CT spine — sagittal reformat — bone-window reconstruction — 512x1305 px — some of the image was removed or blocked out with constant pixels
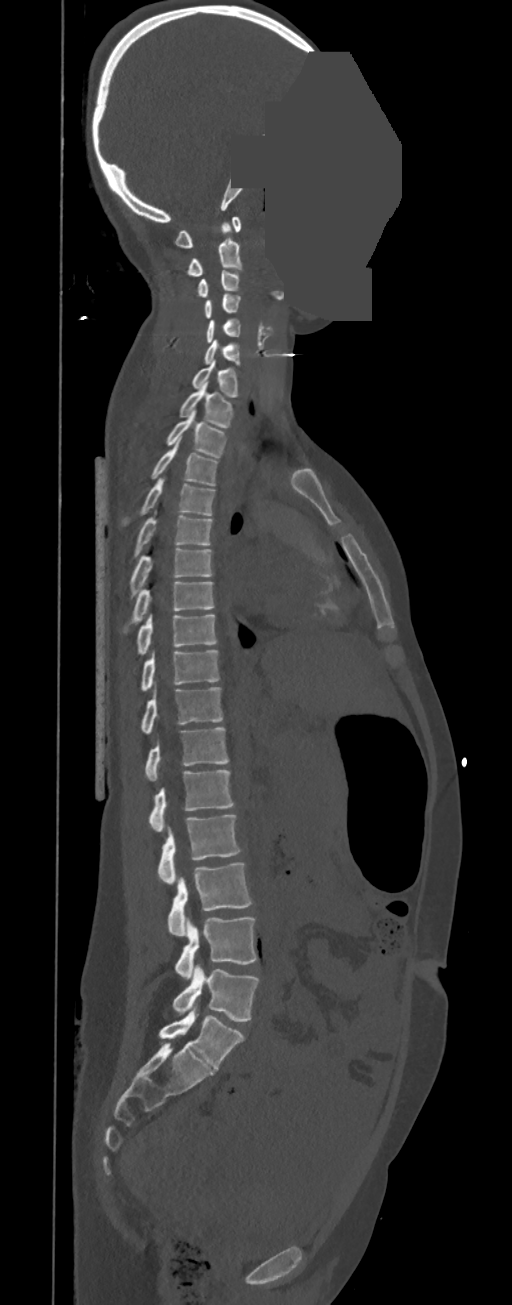 In these labels the thoracic vertebrae end at T11, so L1 follows T11.
<vertebrae><v name="C1" x1="174" y1="216" x2="241" y2="248"/><v name="C2" x1="187" y1="223" x2="240" y2="275"/><v name="C3" x1="197" y1="270" x2="239" y2="297"/><v name="C4" x1="205" y1="294" x2="240" y2="318"/><v name="C5" x1="206" y1="319" x2="241" y2="343"/><v name="C6" x1="205" y1="340" x2="240" y2="365"/><v name="C7" x1="191" y1="359" x2="237" y2="397"/><v name="T1" x1="180" y1="380" x2="233" y2="427"/><v name="T2" x1="167" y1="411" x2="227" y2="457"/><v name="T3" x1="151" y1="436" x2="217" y2="486"/><v name="T4" x1="122" y1="478" x2="214" y2="526"/><v name="T5" x1="133" y1="511" x2="212" y2="556"/><v name="T6" x1="128" y1="548" x2="212" y2="598"/><v name="T7" x1="121" y1="581" x2="214" y2="634"/><v name="T8" x1="136" y1="614" x2="217" y2="655"/><v name="T9" x1="140" y1="649" x2="220" y2="690"/><v name="T10" x1="140" y1="685" x2="223" y2="734"/><v name="T11" x1="145" y1="727" x2="228" y2="780"/><v name="L1" x1="149" y1="769" x2="234" y2="831"/><v name="L2" x1="158" y1="815" x2="242" y2="884"/><v name="L3" x1="168" y1="862" x2="252" y2="935"/><v name="L4" x1="175" y1="916" x2="258" y2="979"/><v name="L5" x1="172" y1="966" x2="259" y2="1022"/></vertebrae>